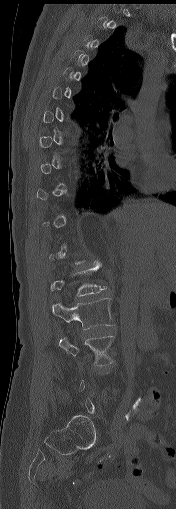

Spine CT — sagittal view — bone window — 176x509 px — the image is 176 mm wide

Box values are [left, top, right, bottom] in pixels.
A vertebra is boxed only from the first to the last slice where its cross-section is at least a third of its largest; slices outside that range leave it without a box.
{"vertebrae":{"L1":[50,261,107,296],"L2":[52,298,114,329],"L3":[59,336,113,365]}}